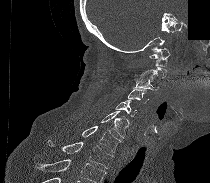 CT spine · 210 mm wide · sagittal reformat · part of the image has been replaced by a constant value. Coordinates as <box>x1,y1,x2,y2</box>.
No box is given to a vertebra that the bottom edge of the scan cuts off.
Vertebra bounding boxes:
- C1: <box>149,47,170,66</box>
- C2: <box>134,66,167,78</box>
- C3: <box>132,75,160,91</box>
- C4: <box>128,88,148,103</box>
- C5: <box>115,100,137,116</box>
- C6: <box>100,111,129,138</box>
- C7: <box>82,126,122,152</box>
- T1: <box>47,140,113,169</box>